CT — sagittal reformat
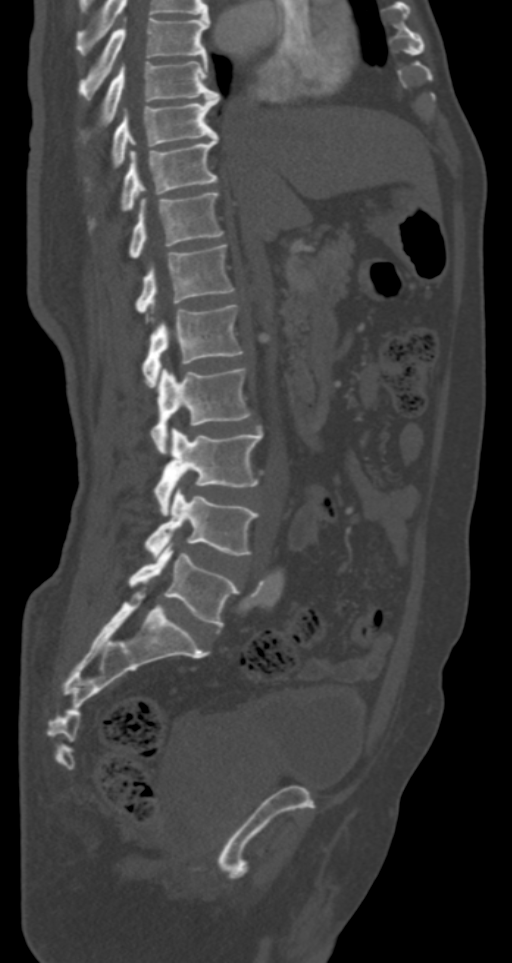

Each vertebra maps to its box as [x1, y1, x2, y2], the pixel coordinates of its top-left and bottom-right corners.
{"vertebrae":{"T7":[78,17,209,99],"T8":[103,60,220,121],"T9":[112,94,218,165],"T10":[121,135,218,209],"T11":[130,192,223,257],"T12":[135,244,234,321],"L1":[142,305,243,387],"L2":[151,367,250,454],"L3":[155,428,263,515],"L4":[144,487,257,557],"L5":[128,541,238,627]}}